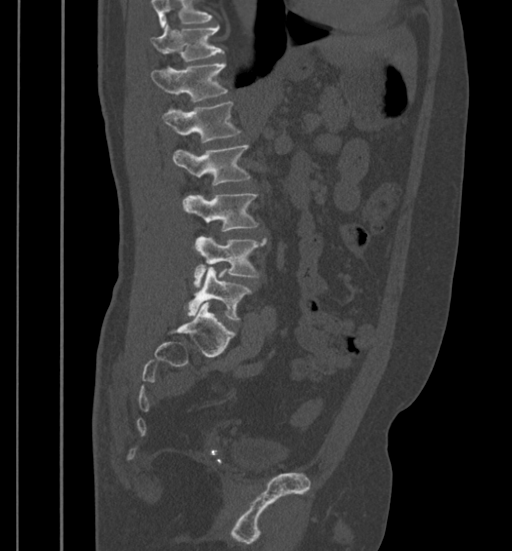 Computed tomography of the spine. sagittal view. bone window
Box values are [left, top, right, bottom] in pixels.
Vertebrae that run past the top of the scan are left unlabeled.
{"vertebrae":{"T11":[151,23,223,62],"T12":[151,63,227,102],"L1":[163,101,240,143],"L2":[173,145,250,186],"L3":[182,193,258,231],"L4":[194,236,266,287],"L5":[187,267,250,319]}}